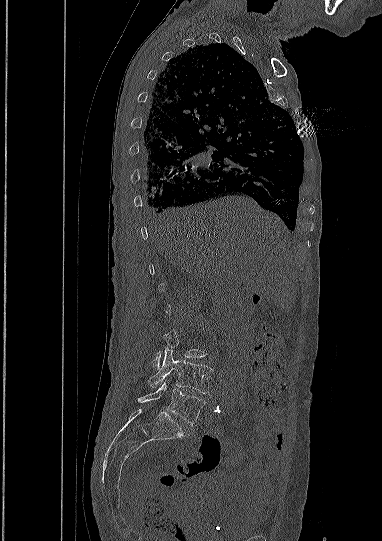

CT spine. the image is 382 mm wide. sagittal view
In the table, x1 and y1 are a box's top-left corner and x2 and y2 its bottom-right corner, in pixels.
A vertebra is boxed only from the first to the last slice where its cross-section is at least a third of its largest; slices outside that range leave it without a box.
| vertebra | x1 | y1 | x2 | y2 |
|---|---|---|---|---|
| L4 | 148 | 348 | 212 | 393 |
| L5 | 138 | 380 | 205 | 425 |